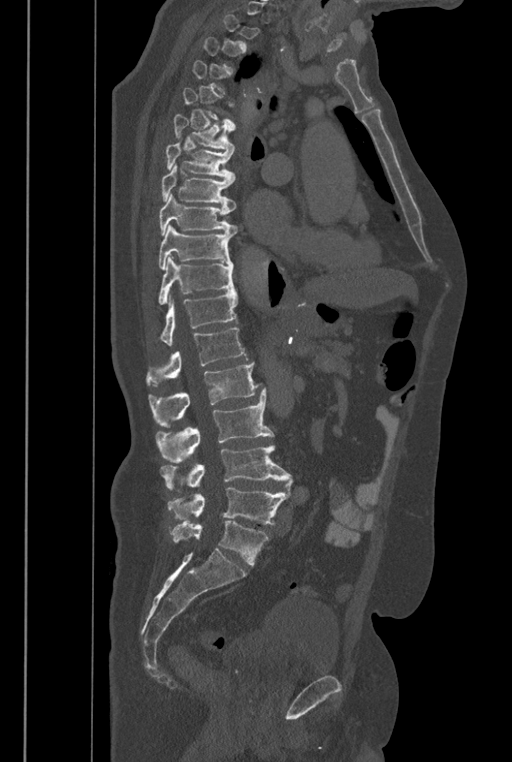 CT, spine · the image spans 446 mm across · sagittal view · bone window
Boxes are (x1, y1, x2, y2) in pixels.
Not every vertebra on this slice has a box: a vertebra is boxed only from the first to the last slice where its cross-section is at least a third of its largest, and this slice is outside that range for at least one of them.
In these labels the spine has an L6, a sixth lumbar vertebra below L5.
L6: (170, 521, 268, 565)
L5: (168, 487, 289, 525)
L4: (161, 445, 293, 491)
L3: (156, 388, 274, 462)
L2: (149, 362, 262, 427)
L1: (147, 328, 248, 385)
T12: (159, 291, 238, 345)
T11: (158, 257, 235, 305)
T10: (158, 224, 234, 270)
T9: (159, 193, 237, 235)
T8: (162, 164, 235, 210)
T7: (165, 139, 235, 180)
T6: (173, 114, 235, 152)